Computed tomography of the spine · sagittal reformat · 333 mm wide · Bone window (WL 400, WW 1800) · scan covers 9 annotated vertebrae
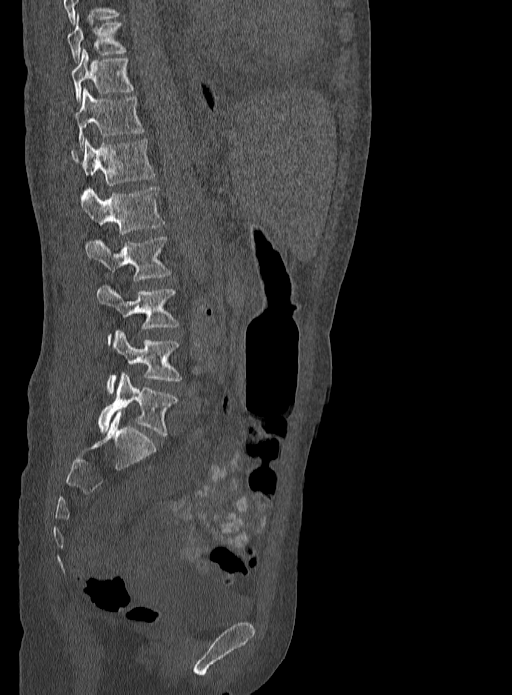 <vertebrae><v name="L5" x1="98" y1="372" x2="177" y2="436"/><v name="L4" x1="106" y1="331" x2="182" y2="393"/><v name="L3" x1="97" y1="284" x2="179" y2="343"/><v name="L2" x1="84" y1="237" x2="171" y2="280"/><v name="L1" x1="81" y1="186" x2="163" y2="234"/><v name="T12" x1="71" y1="138" x2="154" y2="185"/><v name="T11" x1="74" y1="89" x2="143" y2="147"/><v name="T10" x1="70" y1="49" x2="132" y2="102"/><v name="T9" x1="67" y1="15" x2="125" y2="62"/></vertebrae>